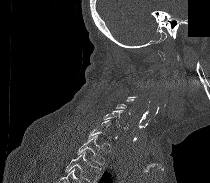 Spine computed tomography. sagittal view. bone window. part of the image is constant black where the scan was masked
Bounding boxes as [x1, y1, x2, y2] in pixel coordinates.
A vertebra gets a box only on the slices from the first to the last where its cross-section is at least a third of its largest; on a slice outside that range it gets none.
No box is given to a vertebra that the bottom edge of the scan cuts off.
Vertebra bounding boxes:
- C6: [104, 110, 128, 129]
- C7: [88, 120, 111, 139]
- T1: [77, 135, 104, 165]